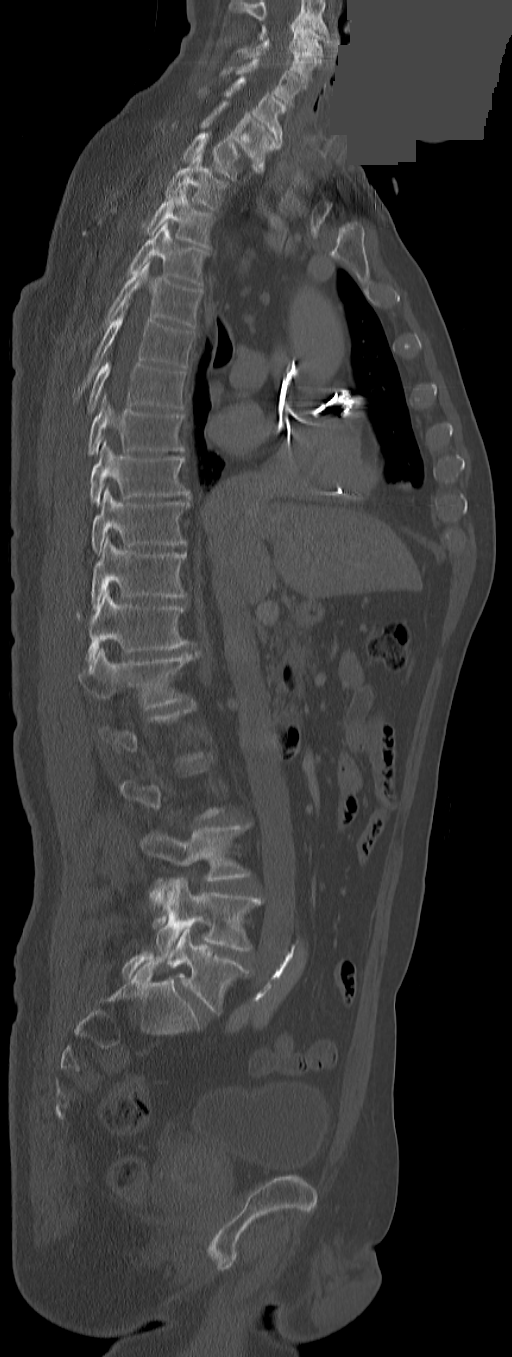

CT spine — sagittal view — W/L 1800/400 HU — a region of this slice is masked with a uniform fill
A vertebra gets a box only on the slices from the first to the last where its cross-section is at least a third of its largest; on a slice outside that range it gets none.
In this scan, the topmost labeled vertebra is C3 and the lowest is L5.
The labels name an extra thoracic vertebra here, T13, which comes after T12 and before L1.
<vertebrae><v name="C3" x1="259" y1="25" x2="323" y2="57"/><v name="C4" x1="232" y1="38" x2="320" y2="81"/><v name="C5" x1="221" y1="59" x2="304" y2="104"/><v name="C6" x1="225" y1="77" x2="286" y2="144"/><v name="C7" x1="201" y1="101" x2="281" y2="170"/><v name="T1" x1="182" y1="132" x2="259" y2="180"/><v name="T2" x1="166" y1="150" x2="228" y2="209"/><v name="T3" x1="143" y1="186" x2="214" y2="249"/><v name="T4" x1="128" y1="222" x2="207" y2="286"/><v name="T5" x1="87" y1="262" x2="202" y2="341"/><v name="T6" x1="74" y1="305" x2="193" y2="399"/><v name="T7" x1="87" y1="361" x2="186" y2="411"/><v name="T8" x1="88" y1="396" x2="184" y2="455"/><v name="T9" x1="88" y1="440" x2="189" y2="505"/><v name="T10" x1="92" y1="488" x2="189" y2="554"/><v name="T11" x1="90" y1="537" x2="186" y2="609"/><v name="T12" x1="78" y1="589" x2="189" y2="665"/><v name="T13" x1="78" y1="648" x2="200" y2="709"/><v name="L3" x1="141" y1="826" x2="249" y2="904"/><v name="L4" x1="153" y1="877" x2="262" y2="958"/><v name="L5" x1="167" y1="929" x2="249" y2="1013"/></vertebrae>